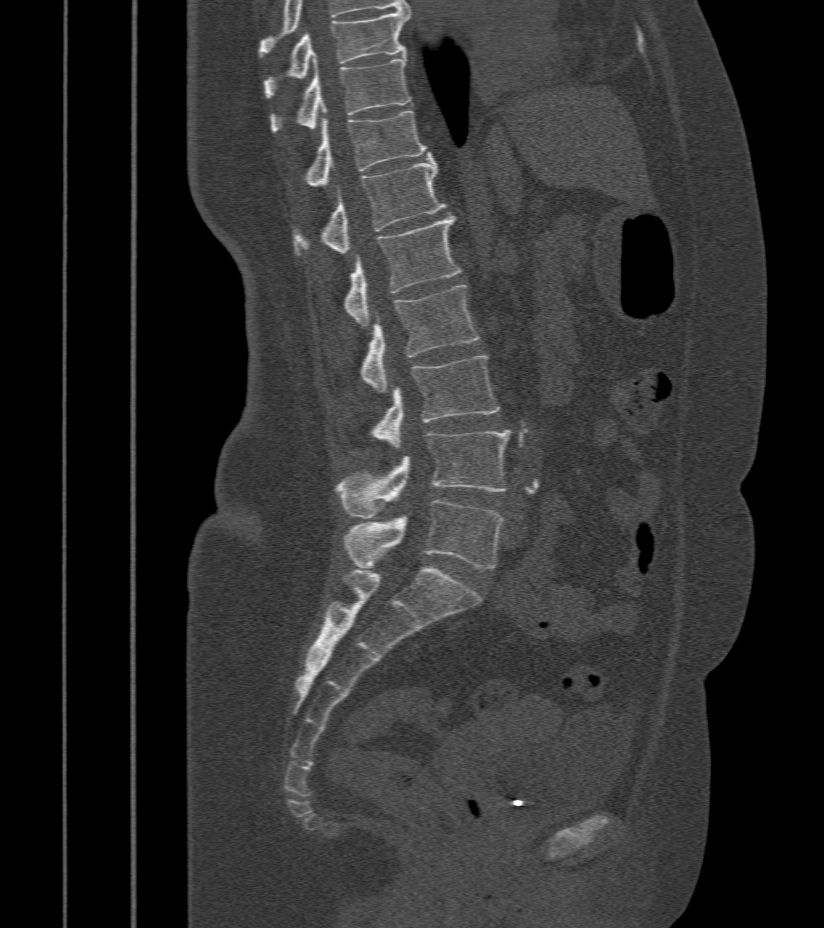
Spine computed tomography · sagittal reformat · bone window. Boxes are (x1, y1, x2, y2) in pixels.
Vertebra bounding boxes:
- T9: (264, 11, 409, 98)
- T10: (272, 57, 411, 132)
- T11: (306, 109, 430, 186)
- T12: (296, 157, 446, 254)
- L1: (344, 215, 461, 326)
- L2: (362, 285, 479, 394)
- L3: (373, 355, 500, 450)
- L4: (338, 431, 509, 518)
- L5: (344, 499, 503, 568)